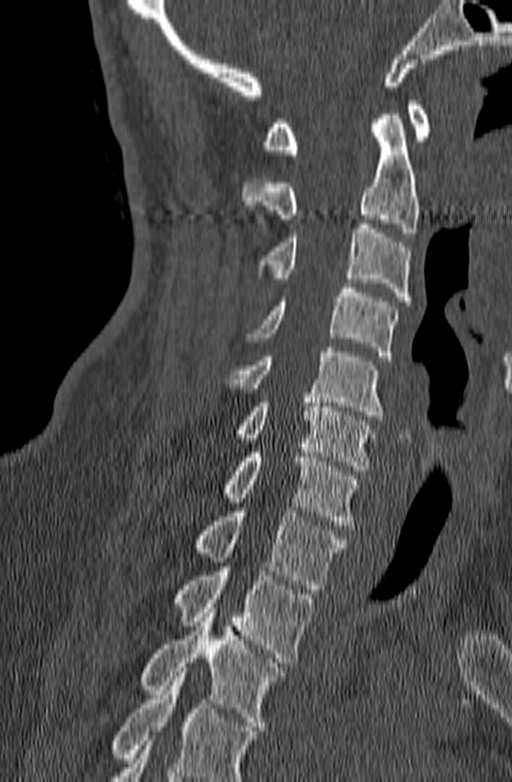 Spine CT; sagittal view. In the table, x1 and y1 are a box's top-left corner and x2 and y2 its bottom-right corner, in pixels.
A vertebra cut off by the bottom edge of the scan is not labeled and has no box.
| vertebra | x1 | y1 | x2 | y2 |
|---|---|---|---|---|
| C1 | 263 | 101 | 430 | 154 |
| C2 | 241 | 114 | 419 | 237 |
| C3 | 257 | 224 | 410 | 301 |
| C4 | 246 | 283 | 399 | 360 |
| C5 | 224 | 347 | 384 | 420 |
| C6 | 235 | 393 | 375 | 470 |
| C7 | 224 | 453 | 359 | 529 |
| T1 | 193 | 507 | 344 | 589 |
| T2 | 173 | 567 | 314 | 662 |
| T3 | 139 | 608 | 285 | 730 |